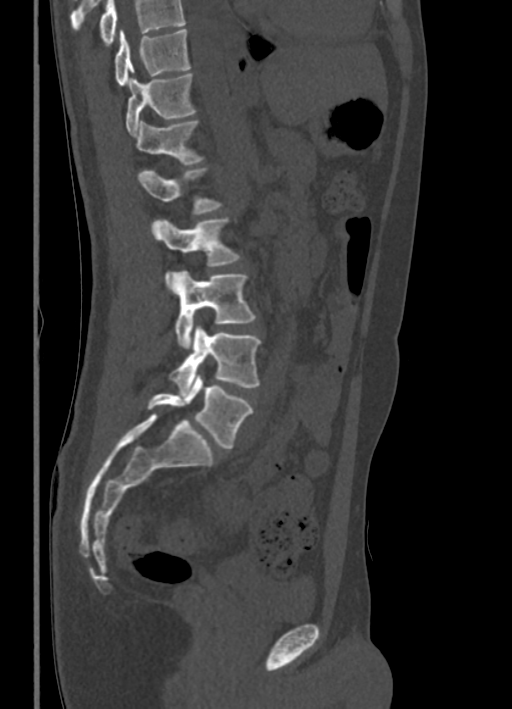

Spine computed tomography · image 336 mm wide · sagittal view

Columns x1, y1, x2, y2 give each box's top-left and bottom-right pixels.
No box is given to a vertebra that the top edge of the scan cuts off.
| vertebra | x1 | y1 | x2 | y2 |
|---|---|---|---|---|
| L5 | 148 | 374 | 253 | 449 |
| L4 | 169 | 326 | 261 | 395 |
| L3 | 172 | 270 | 256 | 348 |
| L2 | 151 | 218 | 241 | 288 |
| L1 | 138 | 167 | 221 | 214 |
| T12 | 135 | 121 | 205 | 165 |
| T11 | 126 | 73 | 195 | 134 |
| T10 | 114 | 29 | 191 | 86 |